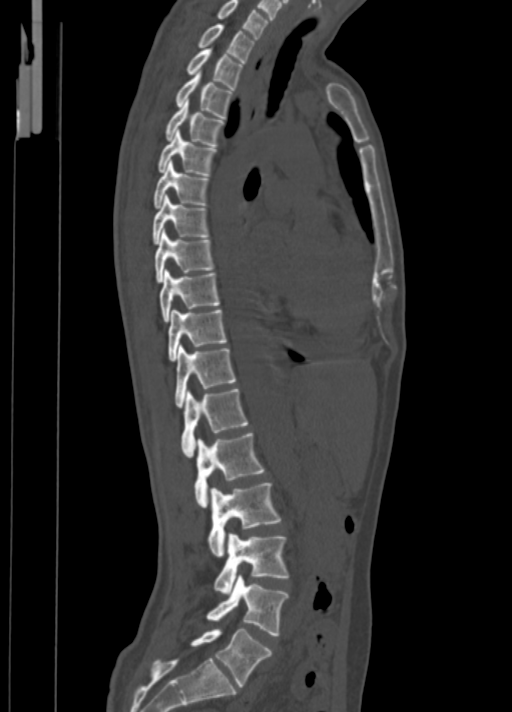
CT — sagittal view

Coordinates as <box>x1,y1,x2,y2</box>. 18 vertebrae labeled — C7 at <box>216,0,268,38</box>; T1 at <box>197,23,255,63</box>; T2 at <box>186,47,243,90</box>; T3 at <box>175,72,233,119</box>; T4 at <box>165,101,224,147</box>; T5 at <box>158,130,217,175</box>; T6 at <box>153,161,209,208</box>; T7 at <box>152,195,208,245</box>; T8 at <box>155,230,214,283</box>; T9 at <box>159,269,220,322</box>; T10 at <box>168,309,227,360</box>; T11 at <box>174,345,236,407</box>; T12 at <box>181,389,247,457</box>; L1 at <box>194,433,265,507</box>; L2 at <box>207,483,281,556</box>; L3 at <box>213,532,288,593</box>; L4 at <box>206,575,288,635</box>; L5 at <box>190,629,272,687</box>.